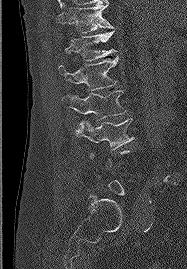
Spine computed tomography · sagittal view
Each row gives a vertebra's box as x1, y1, x2, y2 in pixels: top-left corner, then bottom-right corner.
Not every vertebra on this slice has a box: a vertebra is boxed only from the first to the last slice where its cross-section is at least a third of its largest, and this slice is outside that range for at least one of them.
| vertebra | x1 | y1 | x2 | y2 |
|---|---|---|---|---|
| L3 | 75 | 118 | 134 | 149 |
| L2 | 61 | 90 | 126 | 130 |
| L1 | 58 | 57 | 118 | 90 |
| T12 | 65 | 31 | 116 | 60 |
| T11 | 57 | 3 | 113 | 32 |